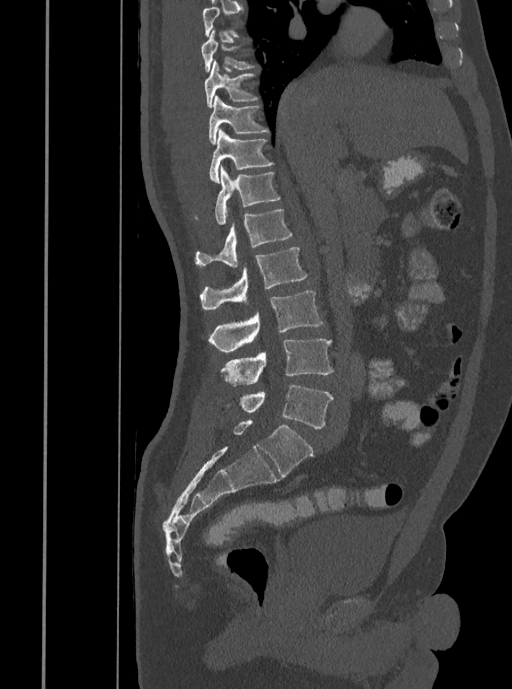

CT spine. sagittal view. Bone window (WL 400, WW 1800). 512x689 px
Bounding boxes as [x1, y1, x2, y2] in pixel coordinates.
A vertebra is boxed only from the first to the last slice where its cross-section is at least a third of its largest; slices outside that range leave it without a box.
T8: [201, 29, 256, 72]
T9: [204, 60, 259, 107]
T10: [208, 95, 269, 144]
T11: [209, 130, 274, 183]
T12: [194, 165, 280, 224]
L1: [194, 209, 291, 267]
L2: [199, 247, 308, 310]
L3: [208, 291, 323, 351]
L4: [221, 339, 333, 385]
L5: [241, 385, 333, 428]